Spine CT · sagittal view · 162x253 px
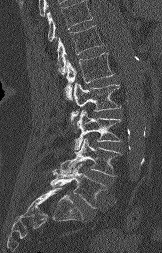
Boxes: x1 y1 x2 y2 (pixel coords, space-separated).
A vertebra cut off by the top edge of the scan is not labeled and has no box.
Vertebra bounding boxes:
- T12: 57 25 103 74
- L1: 64 52 114 100
- L2: 71 82 120 121
- L3: 74 110 121 150
- L4: 59 138 121 176
- L5: 50 164 105 208